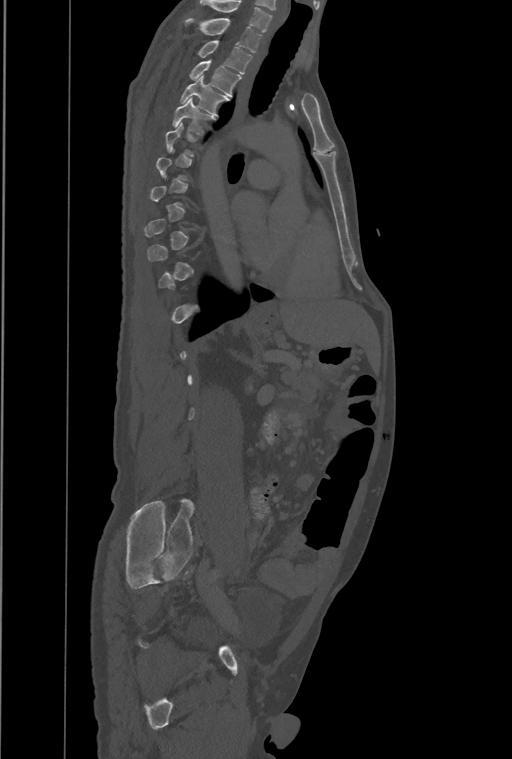
Spine CT; sagittal view
A vertebra gets a box only on the slices from the first to the last where its cross-section is at least a third of its largest; on a slice outside that range it gets none.
The highest labeled vertebra in this scan is T1; the lowest is L4.
<vertebrae><v name="T5" x1="173" y1="98" x2="215" y2="135"/><v name="T4" x1="179" y1="76" x2="228" y2="115"/><v name="T3" x1="189" y1="60" x2="241" y2="96"/><v name="T2" x1="197" y1="40" x2="252" y2="74"/><v name="T1" x1="184" y1="18" x2="262" y2="53"/></vertebrae>